Computed tomography of the spine — sagittal plane, index 225
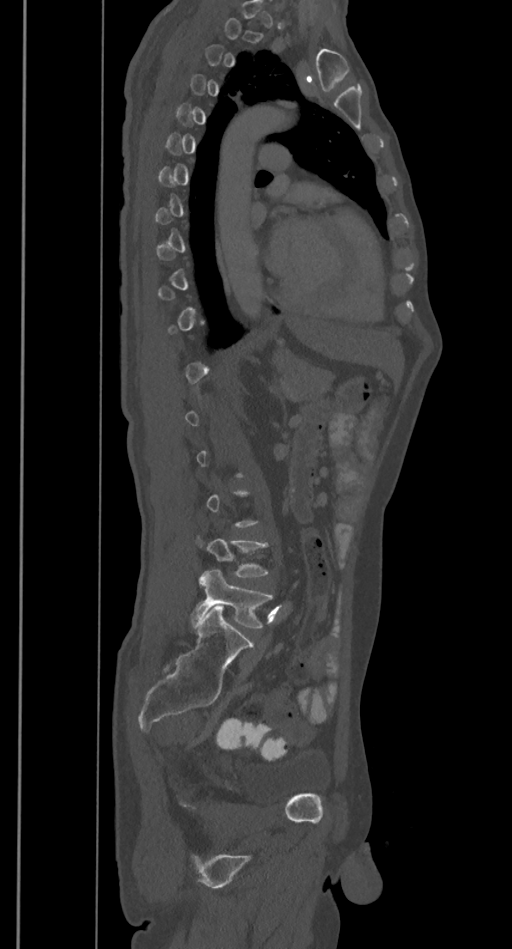 Bounding boxes as [x1, y1, x2, y2] in pixel coordinates. Each vertebra is boxed only on the slices from the first to the last where its cross-section reaches a third of its largest, so a slice outside that range leaves it unboxed. The labeled vertebrae in this slice are: L5 at [191, 569, 273, 627], L4 at [197, 535, 269, 577].